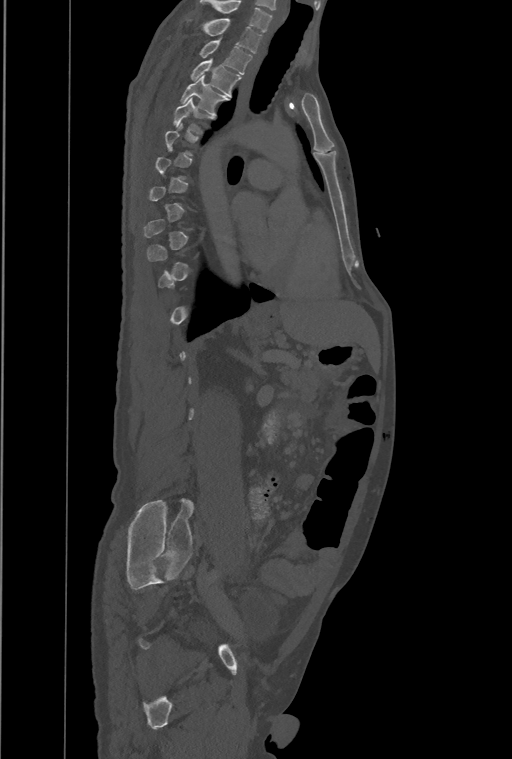 CT, spine — sagittal view — 512x759 px — image 461 mm wide
Box edges are left/top/right/bottom in pixels. Each vertebra is boxed only on the slices from the first to the last where its cross-section reaches a third of its largest, so a slice outside that range leaves it unboxed. Labels in this scan begin with T1 at the top and end with L4 at the bottom. The labeled vertebrae in this slice are: T5 at left=173, top=98, right=214, bottom=134, T4 at left=181, top=76, right=227, bottom=115, T3 at left=191, top=59, right=241, bottom=96, T2 at left=199, top=40, right=252, bottom=74, T1 at left=203, top=18, right=262, bottom=53.